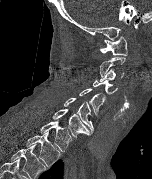
CT; sagittal view; Bone window (WL 400, WW 1800); 152x179 px

Each box given as x1,y1,x2,y2.
The highest labeled vertebra in this scan is C1; the lowest is T2.
| vertebra | x1 | y1 | x2 | y2 |
|---|---|---|---|---|
| T2 | 26 | 131 | 60 | 166 |
| T1 | 40 | 120 | 72 | 151 |
| C7 | 53 | 109 | 91 | 137 |
| C6 | 63 | 97 | 93 | 133 |
| C5 | 79 | 88 | 106 | 115 |
| C4 | 92 | 80 | 118 | 95 |
| C3 | 99 | 68 | 123 | 81 |
| C2 | 99 | 57 | 125 | 76 |
| C1 | 99 | 35 | 127 | 56 |